CT · sagittal view
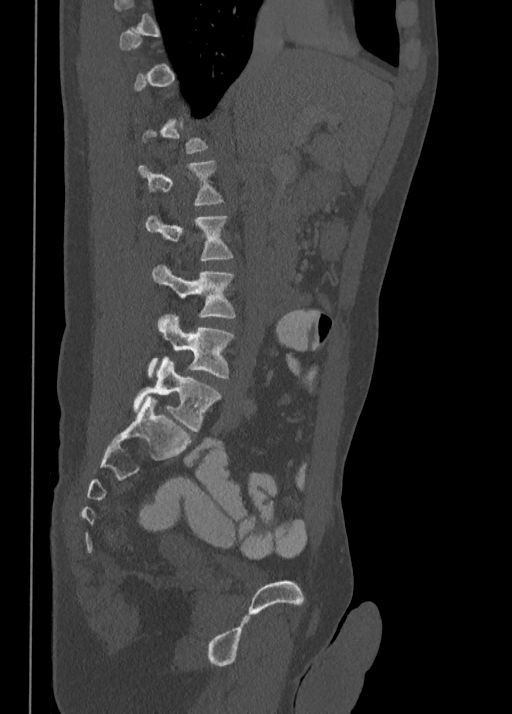

In the table, x1 and y1 are a box's top-left corner and x2 and y2 its bottom-right corner, in pixels.
A vertebra is boxed only from the first to the last slice where its cross-section is at least a third of its largest; slices outside that range leave it without a box.
| vertebra | x1 | y1 | x2 | y2 |
|---|---|---|---|---|
| L1 | 139 | 161 | 223 | 204 |
| L2 | 145 | 215 | 233 | 261 |
| L3 | 152 | 265 | 234 | 318 |
| L4 | 148 | 315 | 233 | 378 |
| L5 | 133 | 357 | 221 | 432 |